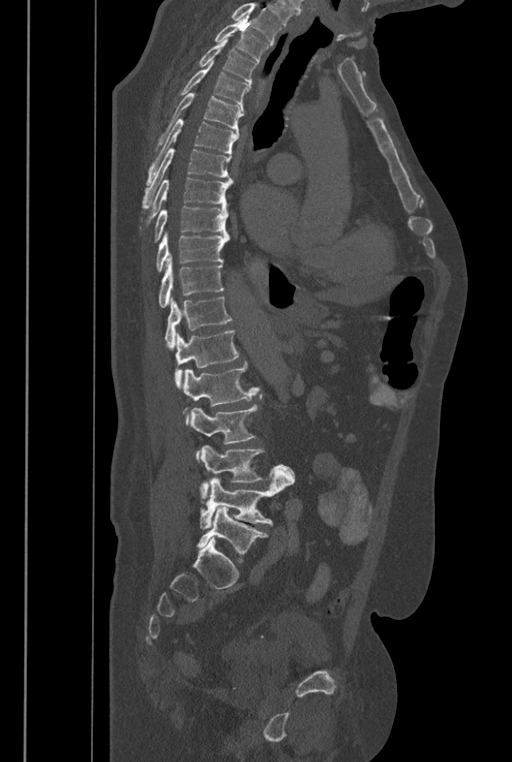 CT spine; sagittal view; 512x762 px. Boxes: x1:y1:x2:y2 in pixels.
Where the top of the scan cuts through a vertebra, that vertebra gets no label or box.
In these labels the spine has an L6, a sixth lumbar vertebra below L5.
L6: 197:506:268:562
L5: 199:470:294:529
L4: 199:445:295:498
L3: 190:394:262:460
L2: 183:362:259:424
L1: 174:330:239:389
T12: 164:297:232:349
T11: 158:255:224:307
T10: 155:232:230:272
T9: 153:206:229:243
T8: 139:177:233:228
T7: 142:149:232:211
T6: 146:119:239:185
T5: 154:93:244:150
T4: 176:60:249:112
T3: 199:38:257:88
T2: 215:15:269:62